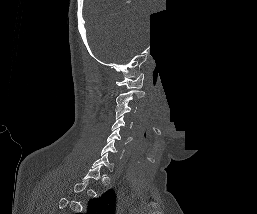 CT spine — image 257 mm wide — sagittal view — bone-window reconstruction — 257x214 px — a portion of the image is blanked out (constant pixel value)
Each box given as x1,y1,x2,y2. Each vertebra is boxed only on the slices from the first to the last where its cross-section reaches a third of its largest, so a slice outside that range leaves it unboxed. The labeled vertebrae in this slice are: C1 at x1=116, y1=73, x2=144, y2=88, C2 at x1=116, y1=90, x2=145, y2=108, C3 at x1=115, y1=102, x2=137, y2=118, C4 at x1=111, y1=115, x2=133, y2=130, C5 at x1=107, y1=128, x2=132, y2=143, C6 at x1=101, y1=140, x2=124, y2=158, C7 at x1=92, y1=153, x2=113, y2=171.